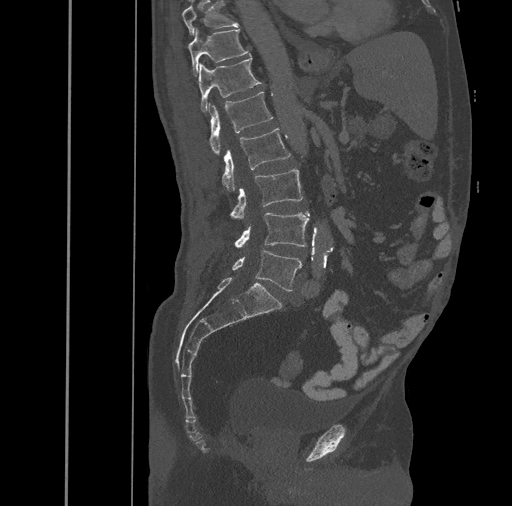

Computed tomography of the spine. sagittal reformat
Columns x1, y1, x2, y2 give each box's top-left and bottom-right pixels.
| vertebra | x1 | y1 | x2 | y2 |
|---|---|---|---|---|
| T10 | 182 | 1 | 239 | 35 |
| T11 | 188 | 28 | 250 | 76 |
| T12 | 198 | 57 | 262 | 111 |
| L1 | 209 | 92 | 274 | 154 |
| L2 | 222 | 128 | 290 | 190 |
| L3 | 229 | 168 | 303 | 218 |
| L4 | 234 | 211 | 310 | 247 |
| L5 | 232 | 251 | 302 | 291 |